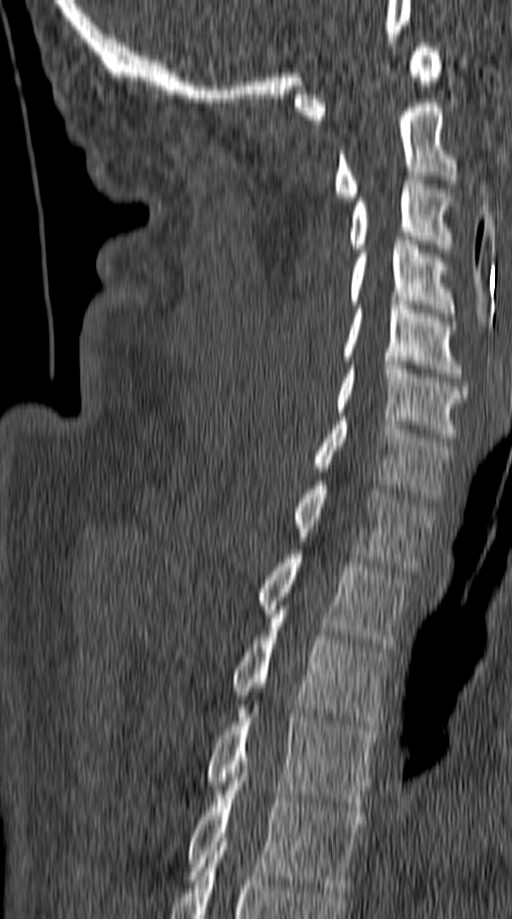
Spine computed tomography. sagittal view. the image spans 149 mm across. Bone window (WL 400, WW 1800). Boxes are (x1, y1, x2, y2) in pixels.
Vertebra bounding boxes:
- T5: (187, 777, 364, 892)
- T4: (207, 704, 378, 807)
- T3: (231, 614, 389, 729)
- T2: (259, 554, 409, 648)
- T1: (293, 481, 433, 570)
- C7: (314, 417, 451, 502)
- C6: (334, 361, 468, 441)
- C5: (342, 301, 461, 377)
- C4: (350, 241, 454, 317)
- C3: (348, 172, 450, 252)
- C2: (335, 103, 457, 201)
- C1: (294, 43, 442, 124)